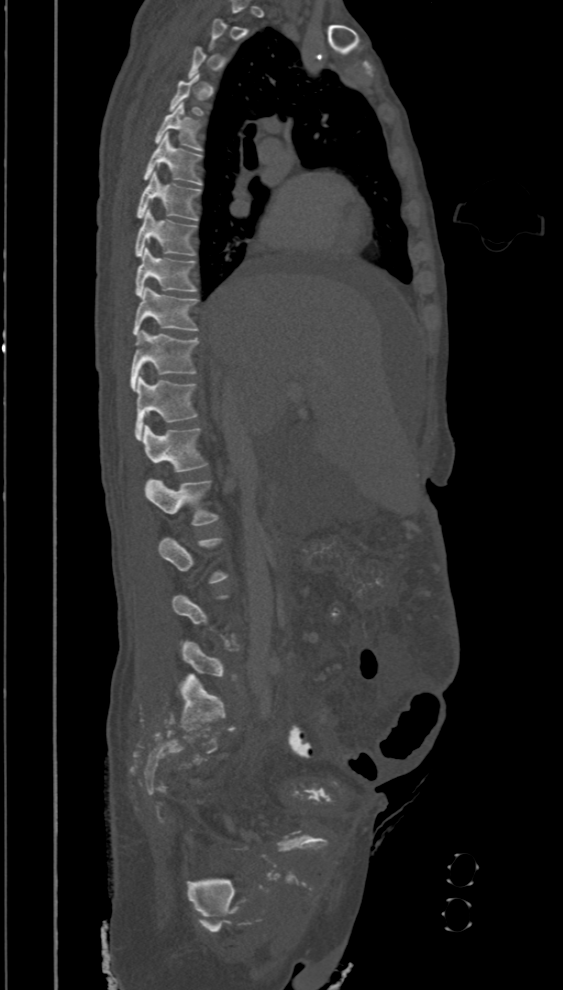 Spine CT · sagittal view · 563x990 px

Bounding boxes as [x1, y1, x2, y2] in pixel coordinates.
A vertebra is boxed only from the first to the last slice where its cross-section is at least a third of its largest; slices outside that range leave it without a box.
T5: [154, 102, 203, 151]
T6: [143, 133, 201, 185]
T7: [137, 172, 201, 221]
T8: [134, 209, 197, 256]
T9: [135, 247, 197, 296]
T10: [133, 286, 199, 336]
T11: [130, 330, 199, 391]
T12: [134, 376, 197, 439]
L1: [143, 425, 208, 472]
L2: [145, 479, 219, 525]